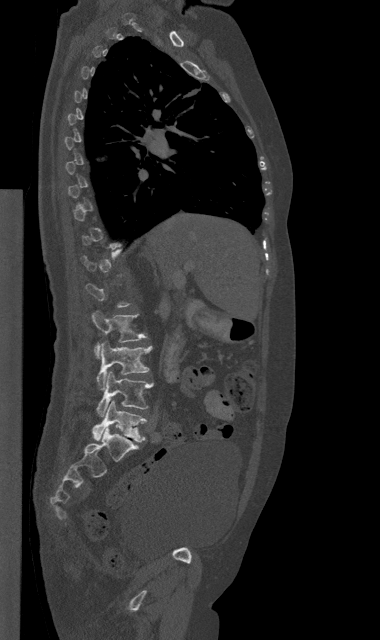
Spine computed tomography · sagittal view · the image spans 380 mm across · 380x640 px
Each vertebra is boxed only on the slices from the first to the last where its cross-section reaches a third of its largest, so a slice outside that range leaves it unboxed.
<vertebrae><v name="L2" x1="92" y1="311" x2="146" y2="358"/><v name="L3" x1="97" y1="341" x2="152" y2="390"/><v name="L4" x1="97" y1="372" x2="153" y2="416"/><v name="L5" x1="92" y1="400" x2="146" y2="441"/></vertebrae>